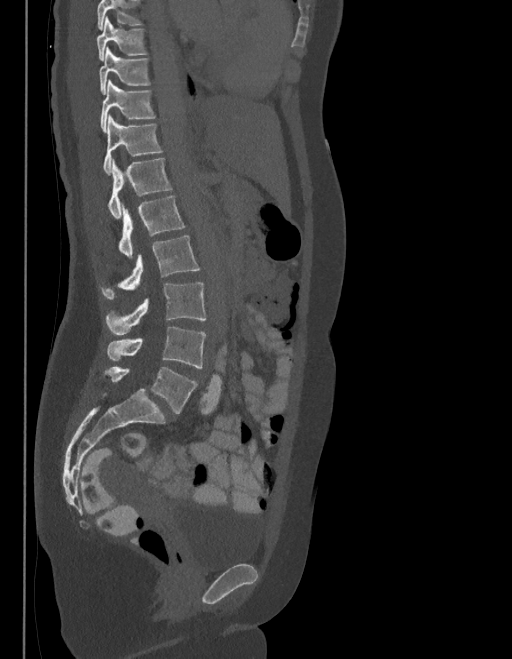

CT, spine; sagittal view; 512x659 px; the image spans 403 mm across

Boxes: x1:y1:x2:y2 in pixels.
Where the top of the scan cuts through a vertebra, that vertebra gets no label or box.
In these labels the spine has an L6, a sixth lumbar vertebra below L5.
T9: 96:17:148:61
T10: 99:48:150:94
T11: 100:79:155:132
T12: 103:115:161:174
L1: 108:158:172:219
L2: 118:196:184:257
L3: 100:236:200:300
L4: 105:282:206:335
L5: 107:327:206:368
L6: 104:367:197:414